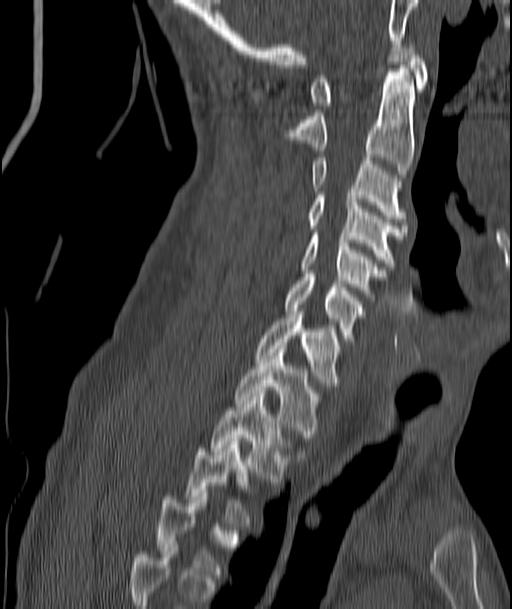

Computed tomography of the spine · sagittal view
A vertebra gets a box only on the slices from the first to the last where its cross-section is at least a third of its largest; on a slice outside that range it gets none.
<vertebrae><v name="C1" x1="310" y1="44" x2="428" y2="105"/><v name="C2" x1="286" y1="68" x2="413" y2="177"/><v name="C3" x1="313" y1="157" x2="405" y2="221"/><v name="C4" x1="308" y1="192" x2="405" y2="266"/><v name="C5" x1="299" y1="233" x2="386" y2="300"/><v name="C6" x1="286" y1="274" x2="364" y2="341"/><v name="C7" x1="255" y1="311" x2="342" y2="386"/><v name="T1" x1="234" y1="349" x2="320" y2="437"/><v name="T2" x1="212" y1="394" x2="293" y2="482"/><v name="T3" x1="187" y1="438" x2="252" y2="526"/></vertebrae>